CT spine. sagittal view. bone-window reconstruction
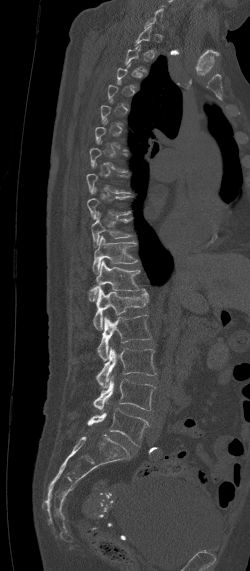 Each vertebra is boxed only on the slices from the first to the last where its cross-section reaches a third of its largest, so a slice outside that range leaves it unboxed.
<vertebrae><v name="T10" x1="91" y1="211" x2="133" y2="248"/><v name="T11" x1="93" y1="236" x2="137" y2="274"/><v name="T12" x1="70" y1="260" x2="140" y2="302"/><v name="L1" x1="93" y1="288" x2="148" y2="330"/><v name="L2" x1="97" y1="314" x2="151" y2="360"/><v name="L3" x1="96" y1="348" x2="155" y2="388"/><v name="L4" x1="92" y1="376" x2="156" y2="410"/><v name="L5" x1="87" y1="408" x2="148" y2="445"/></vertebrae>